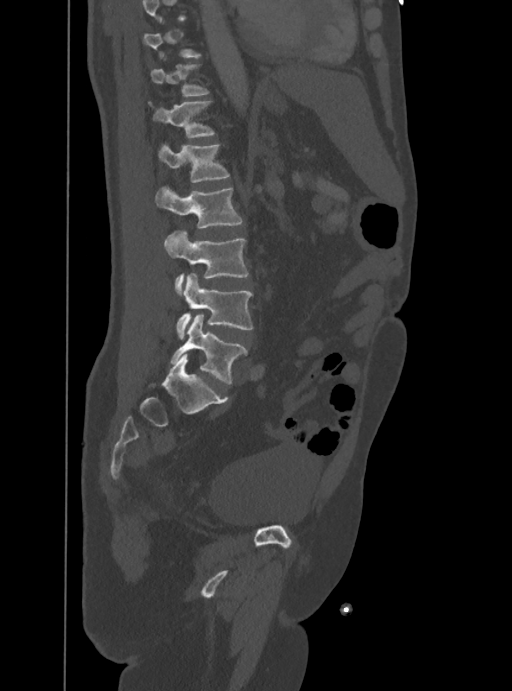
CT, spine · sagittal view · 512x691 px · 388 mm image width
Each vertebra maps to its box as [x1, y1, x2, y2], the pixel coordinates of its top-left and bottom-right corners.
Each vertebra is boxed only on the slices from the first to the last where its cross-section reaches a third of its largest, so a slice outside that range leaves it unboxed.
{"vertebrae":{"L5":[171,314,247,384],"L4":[177,273,252,337],"L3":[165,229,248,294],"L2":[156,186,242,228],"L1":[157,143,230,182],"T12":[148,100,215,138],"T11":[150,64,209,96]}}